Computed tomography of the spine — 158 mm wide — sagittal plane, index 32
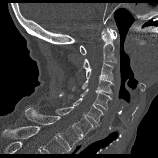

Each box given as x1,y1,x2,y2.
C1: x1=80, y1=29, x2=118, y2=54
C2: x1=78, y1=28, x2=116, y2=69
C3: x1=85, y1=62, x2=113, y2=80
C4: x1=72, y1=79, x2=114, y2=94
C5: x1=69, y1=89, x2=111, y2=110
C6: x1=59, y1=92, x2=103, y2=125
C7: x1=56, y1=107, x2=93, y2=137
T1: x1=25, y1=108, x2=82, y2=150